CT spine — sagittal view — bone-window reconstruction — 512x1010 px — 12 vertebrae labeled in this scan
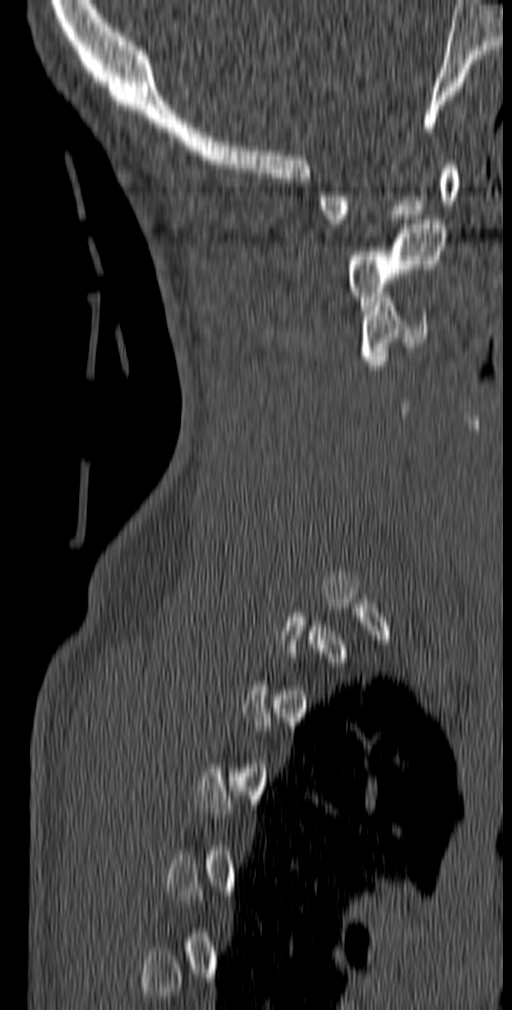 A vertebra gets a box only on the slices from the first to the last where its cross-section is at least a third of its largest; on a slice outside that range it gets none.
<vertebrae><v name="C1" x1="319" y1="160" x2="458" y2="228"/><v name="C2" x1="349" y1="219" x2="446" y2="310"/><v name="C3" x1="360" y1="293" x2="430" y2="365"/></vertebrae>